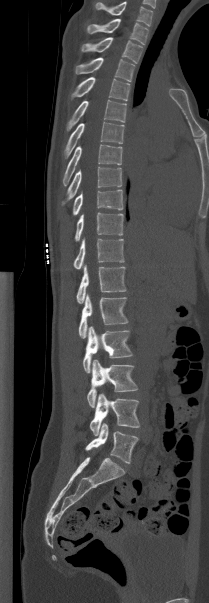

CT, spine; sagittal view; bone window; 209 mm across the image. Columns x1, y1, x2, y2 give each box's top-left and bottom-right pixels.
Labels in this scan begin with T1 at the top and end with L5 at the bottom.
| vertebra | x1 | y1 | x2 | y2 |
|---|---|---|---|---|
| L5 | 85 | 423 | 138 | 463 |
| L4 | 89 | 393 | 139 | 435 |
| L3 | 87 | 359 | 137 | 407 |
| L2 | 83 | 326 | 132 | 372 |
| L1 | 78 | 293 | 128 | 338 |
| T12 | 76 | 264 | 126 | 303 |
| T11 | 73 | 238 | 124 | 269 |
| T10 | 74 | 212 | 123 | 241 |
| T9 | 72 | 189 | 123 | 215 |
| T8 | 62 | 166 | 122 | 204 |
| T7 | 62 | 144 | 122 | 185 |
| T6 | 64 | 122 | 124 | 157 |
| T5 | 66 | 99 | 126 | 130 |
| T4 | 70 | 77 | 129 | 101 |
| T3 | 75 | 57 | 134 | 81 |
| T2 | 81 | 37 | 142 | 63 |
| T1 | 87 | 19 | 148 | 44 |